CT spine · sagittal view · bone-window reconstruction
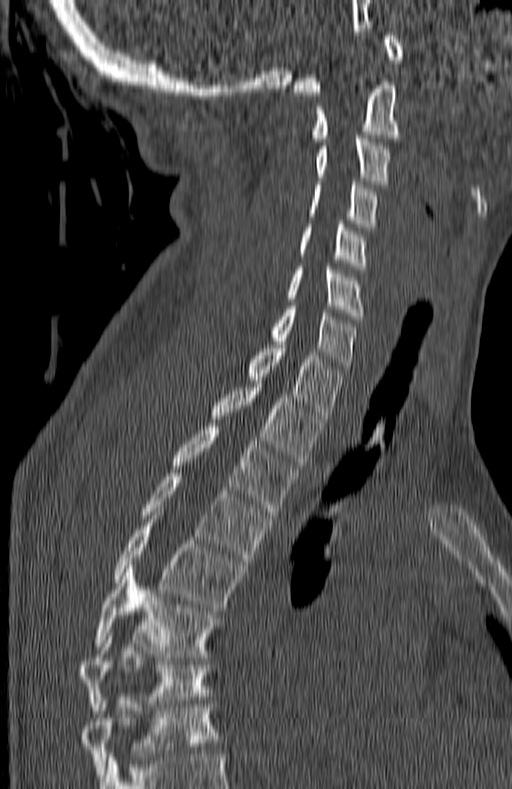 Boxes are given in columns x1, y1, x2, y2, the pixel coordinates of their top-left and bottom-right corners.
The highest labeled vertebra in this scan is C1; the lowest is T7.
| vertebra | x1 | y1 | x2 | y2 |
|---|---|---|---|---|
| C1 | 294 | 32 | 403 | 95 |
| C2 | 311 | 82 | 401 | 141 |
| C3 | 315 | 135 | 390 | 184 |
| C4 | 308 | 181 | 378 | 227 |
| C5 | 300 | 224 | 367 | 269 |
| C6 | 288 | 267 | 364 | 319 |
| C7 | 271 | 306 | 355 | 369 |
| T1 | 248 | 341 | 342 | 419 |
| T2 | 211 | 384 | 324 | 465 |
| T3 | 172 | 427 | 296 | 515 |
| T4 | 140 | 473 | 273 | 564 |
| T5 | 115 | 516 | 242 | 611 |
| T6 | 95 | 569 | 219 | 657 |
| T7 | 78 | 633 | 210 | 710 |